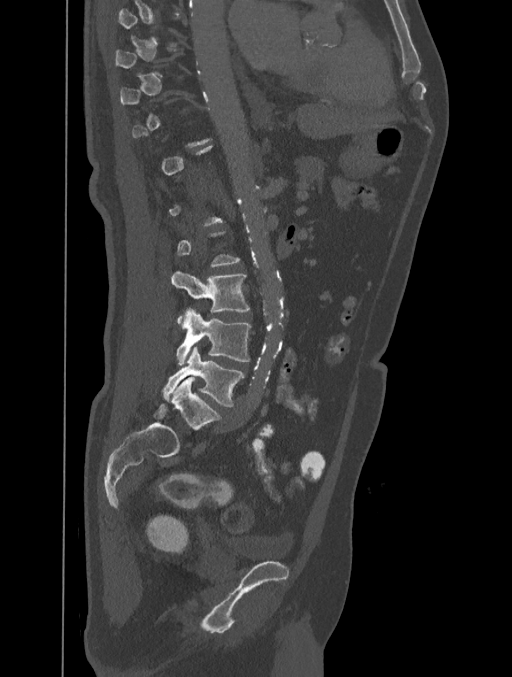
CT; sagittal view; 401 mm across the image
Boxes below are [x1, y1, x2, y2] in pixels.
Each vertebra is boxed only on the slices from the first to the last where its cross-section reaches a third of its largest, so a slice outside that range leaves it unboxed.
{"vertebrae":{"L3":[171,271,250,327],"L4":[176,308,250,366],"L5":[163,347,244,407]}}